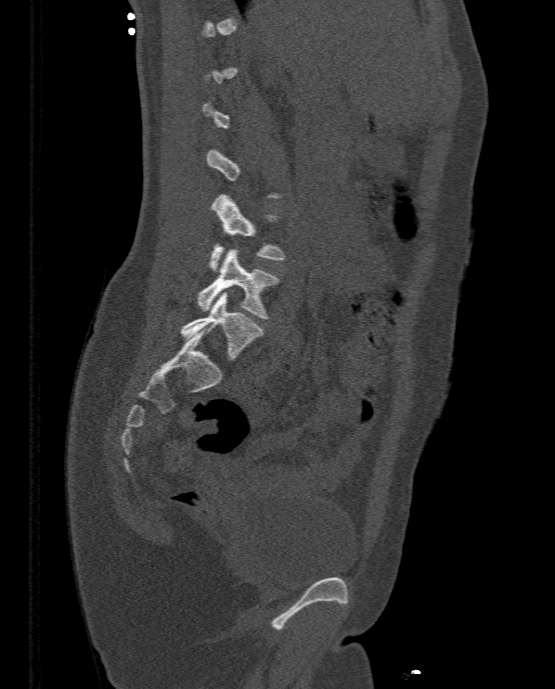
CT, spine — sagittal reformat — image 333 mm wide — bone-window reconstruction
Each vertebra is boxed only on the slices from the first to the last where its cross-section reaches a third of its largest, so a slice outside that range leaves it unboxed.
<vertebrae><v name="L3" x1="208" y1="195" x2="284" y2="270"/><v name="L4" x1="197" y1="249" x2="279" y2="319"/><v name="L5" x1="181" y1="292" x2="262" y2="361"/></vertebrae>